Spine CT — sagittal reformat — bone window — 512x425 px
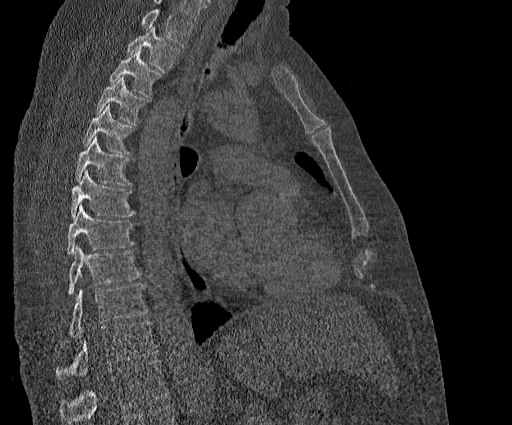
Boxes are (x1, y1, x2, y2) in pixels.
A vertebra cut off by the top edge of the scan is not labeled and has no box.
Labels in this scan begin with T2 at the top and end with T11 at the bottom.
T2: (126, 27, 180, 72)
T3: (109, 49, 161, 96)
T4: (96, 76, 145, 124)
T5: (82, 104, 134, 154)
T6: (74, 136, 131, 186)
T7: (70, 169, 135, 216)
T8: (66, 204, 133, 254)
T9: (68, 245, 141, 295)
T10: (69, 284, 147, 338)
T11: (56, 321, 157, 379)